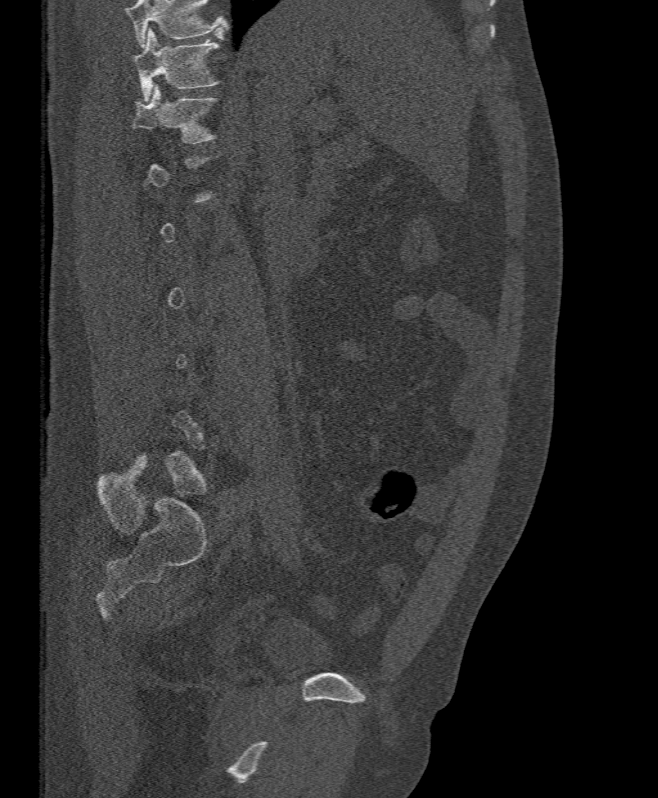
CT, spine. sagittal reformat

Boxes below are [x1, y1, x2, y2] in pixels.
Each vertebra is boxed only on the slices from the first to the last where its cross-section reaches a third of its largest, so a slice outside that range leaves it unboxed.
A vertebra cut off by the top edge of the scan is not labeled and has no box.
{"vertebrae":{"T12":[130,85,218,144],"T11":[134,28,220,101]}}